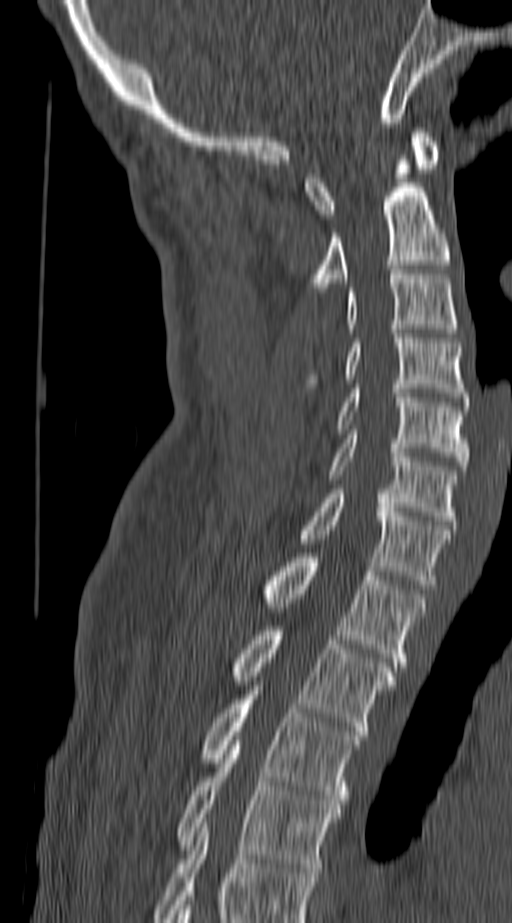
Spine computed tomography; sagittal reformat; W/L 1800/400 HU; 140 mm across the image

Each box given as x1,y1,x2,y2.
In this scan, the topmost labeled vertebra is C1 and the lowest is T4.
| vertebra | x1 | y1 | x2 | y2 |
|---|---|---|---|---|
| C1 | 305 | 128 | 439 | 218 |
| C2 | 309 | 155 | 450 | 292 |
| C3 | 345 | 270 | 457 | 333 |
| C4 | 305 | 334 | 468 | 401 |
| C5 | 334 | 384 | 468 | 470 |
| C6 | 327 | 434 | 457 | 525 |
| C7 | 298 | 489 | 450 | 589 |
| T1 | 261 | 553 | 425 | 666 |
| T2 | 228 | 626 | 395 | 735 |
| T3 | 199 | 695 | 359 | 804 |
| T4 | 177 | 741 | 340 | 872 |